Spine CT · image 160 mm wide · sagittal view · W/L 1800/400 HU
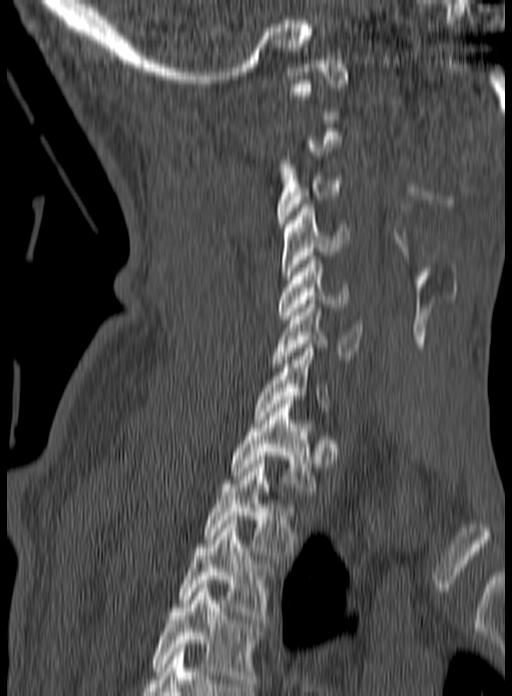

Not every vertebra on this slice has a box: a vertebra is boxed only from the first to the last slice where its cross-section is at least a third of its largest, and this slice is outside that range for at least one of them.
In this scan, the topmost labeled vertebra is C1 and the lowest is T3.
<vertebrae><v name="C3" x1="276" y1="156" x2="343" y2="231"/><v name="C4" x1="280" y1="204" x2="349" y2="279"/><v name="C5" x1="278" y1="256" x2="349" y2="319"/><v name="C6" x1="272" y1="300" x2="364" y2="367"/><v name="C7" x1="254" y1="344" x2="330" y2="419"/><v name="T1" x1="232" y1="400" x2="315" y2="495"/><v name="T2" x1="203" y1="460" x2="298" y2="559"/><v name="T3" x1="177" y1="516" x2="269" y2="623"/></vertebrae>